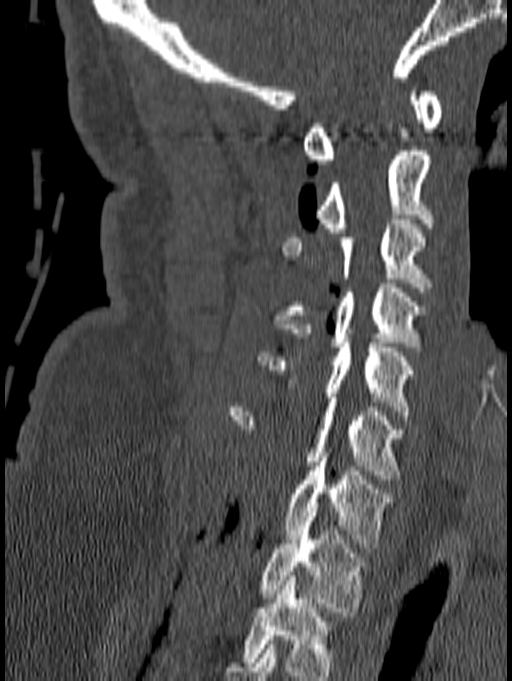 CT spine · sagittal view · 512x681 px

The highest labeled vertebra in this scan is C1; the lowest is T1.
<vertebrae><v name="C1" x1="303" y1="91" x2="442" y2="164"/><v name="C2" x1="315" y1="146" x2="434" y2="232"/><v name="C3" x1="282" y1="219" x2="434" y2="292"/><v name="C4" x1="273" y1="283" x2="427" y2="346"/><v name="C5" x1="258" y1="338" x2="414" y2="415"/><v name="C6" x1="228" y1="398" x2="405" y2="479"/><v name="C7" x1="283" y1="448" x2="392" y2="548"/><v name="T1" x1="260" y1="512" x2="369" y2="616"/></vertebrae>